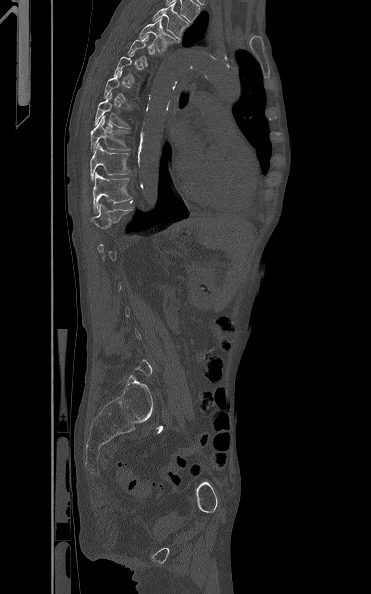 Computed tomography of the spine — sagittal reformat — bone-window reconstruction — 371x594 px

Boxes: x1:y1:x2:y2 in pixels.
Each vertebra is boxed only on the slices from the first to the last where its cross-section reaches a third of its largest, so a slice outside that range leaves it unboxed.
Vertebra bounding boxes:
- T3: 152:3:187:40
- T4: 138:18:179:54
- T8: 94:93:130:128
- T9: 90:115:130:152
- T10: 90:142:130:180
- T11: 93:172:132:213
- T12: 90:204:133:228